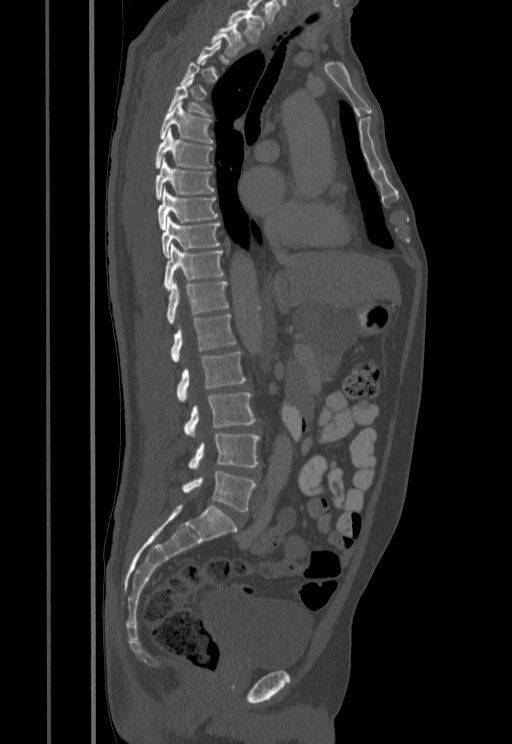 Spine computed tomography. sagittal reformat. W/L 1800/400 HU. the image is 455 mm wide. 512x744 px
Each vertebra is boxed only on the slices from the first to the last where its cross-section reaches a third of its largest, so a slice outside that range leaves it unboxed.
<vertebrae><v name="T1" x1="227" y1="8" x2="265" y2="41"/><v name="T2" x1="210" y1="21" x2="245" y2="57"/><v name="T5" x1="168" y1="77" x2="210" y2="116"/><v name="T6" x1="160" y1="101" x2="213" y2="144"/><v name="T7" x1="154" y1="129" x2="213" y2="168"/><v name="T8" x1="155" y1="158" x2="214" y2="200"/><v name="T9" x1="157" y1="188" x2="217" y2="230"/><v name="T10" x1="161" y1="217" x2="219" y2="256"/><v name="T11" x1="163" y1="243" x2="223" y2="290"/><v name="T12" x1="166" y1="281" x2="228" y2="324"/><v name="L1" x1="171" y1="314" x2="235" y2="362"/><v name="L2" x1="177" y1="352" x2="245" y2="401"/><v name="L3" x1="183" y1="392" x2="255" y2="436"/><v name="L4" x1="188" y1="433" x2="259" y2="469"/><v name="L5" x1="182" y1="471" x2="255" y2="511"/></vertebrae>